CT · sagittal view · W/L 1800/400 HU
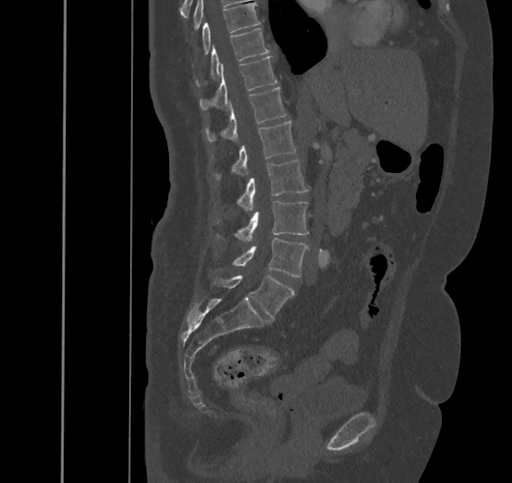

In the table, x1 and y1 are a box's top-left corner and x2 and y2 its bottom-right corner, in pixels.
| vertebra | x1 | y1 | x2 | y2 |
|---|---|---|---|---|
| T9 | 202 | 3 | 260 | 55 |
| T10 | 196 | 28 | 269 | 86 |
| T11 | 199 | 56 | 277 | 110 |
| T12 | 205 | 87 | 287 | 141 |
| L1 | 212 | 121 | 296 | 179 |
| L2 | 237 | 159 | 308 | 210 |
| L3 | 217 | 201 | 308 | 241 |
| L4 | 219 | 237 | 308 | 277 |
| L5 | 213 | 275 | 295 | 318 |